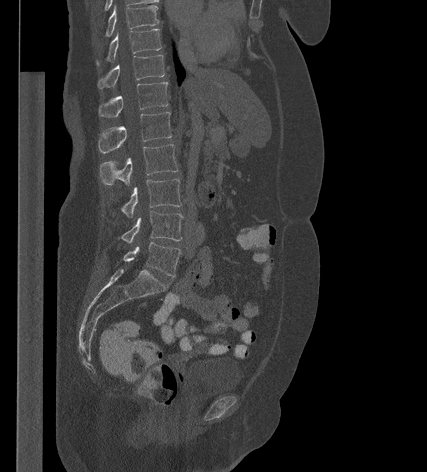

Spine CT · sagittal view · image width 427 mm
Box edges are left/top/right/bottom in pixels.
Vertebra bounding boxes:
- L5: left=123, top=242, right=180, bottom=276
- L4: left=121, top=211, right=182, bottom=243
- L3: left=122, top=179, right=181, bottom=219
- L2: left=100, top=144, right=178, bottom=185
- L1: left=98, top=112, right=171, bottom=153
- T12: left=99, top=82, right=168, bottom=117
- T11: left=97, top=55, right=164, bottom=89
- T10: left=96, top=29, right=161, bottom=66
- T9: left=105, top=5, right=158, bottom=36